CT — sagittal plane, index 195 — scan covers 18 annotated vertebrae — 369 mm image width
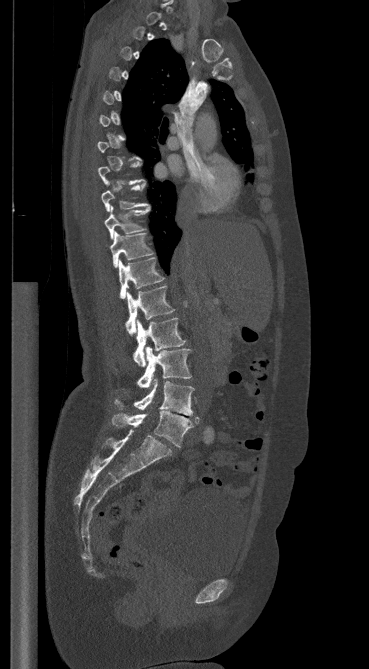 A vertebra gets a box only on the slices from the first to the last where its cross-section is at least a third of its largest; on a slice outside that range it gets none.
<vertebrae><v name="T9" x1="101" y1="184" x2="149" y2="211"/><v name="T10" x1="104" y1="207" x2="150" y2="239"/><v name="T11" x1="110" y1="232" x2="152" y2="267"/><v name="T12" x1="118" y1="257" x2="163" y2="299"/><v name="L1" x1="125" y1="286" x2="174" y2="335"/><v name="L2" x1="133" y1="318" x2="185" y2="366"/><v name="L3" x1="136" y1="347" x2="191" y2="387"/><v name="L4" x1="115" y1="379" x2="193" y2="415"/><v name="L5" x1="112" y1="411" x2="199" y2="447"/></vertebrae>